CT — sagittal view
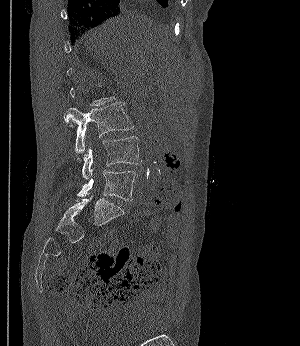 Boxes: x1:y1:x2:y2 in pixels.
Each vertebra is boxed only on the slices from the first to the last where its cross-section reaches a third of its largest, so a slice outside that range leaves it unboxed.
Vertebra bounding boxes:
- L3: 64:102:132:154
- L4: 81:136:141:179
- L5: 77:169:138:200